CT spine — sagittal plane, index 236 — 427x472 px — scan covers 9 annotated vertebrae
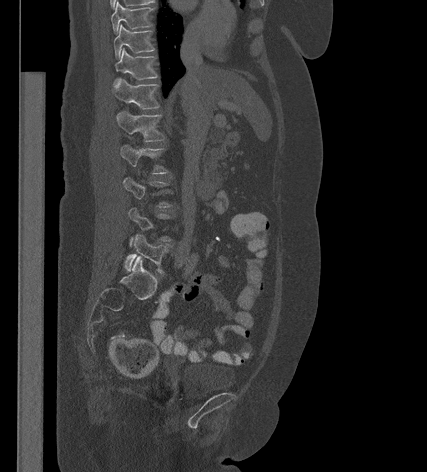 Coordinates as <box>x1,y1,x2,y2</box>.
Not every vertebra on this slice has a box: a vertebra is boxed only from the first to the last slice where its cross-section is at least a third of its largest, and this slice is outside that range for at least one of them.
Vertebra bounding boxes:
- T9: <box>111,2,152,33</box>
- T10: <box>113,25,154,58</box>
- T11: <box>114,48,157,79</box>
- T12: <box>112,78,159,109</box>
- L1: <box>116,112,164,141</box>
- L2: <box>120,145,167,173</box>
- L5: <box>124,234,168,273</box>